CT — sagittal view
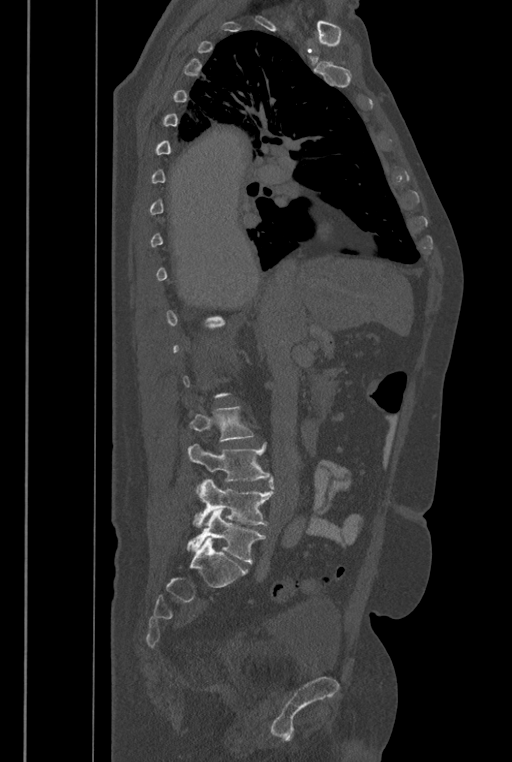
Each box is [x1, y1, x2, y2] in pixels: top-left corner, then bottom-right corner.
A vertebra is boxed only from the first to the last slice where its cross-section is at least a third of its largest; slices outside that range leave it without a box.
These labels give the spine a sixth lumbar vertebra, L6, below L5.
{"vertebrae":{"L3":[190,407,254,441],"L4":[188,443,271,492],"L5":[193,476,274,527],"L6":[186,508,265,563]}}